CT spine; the image spans 500 mm across; sagittal view; some of the image was removed or blocked out with constant pixels
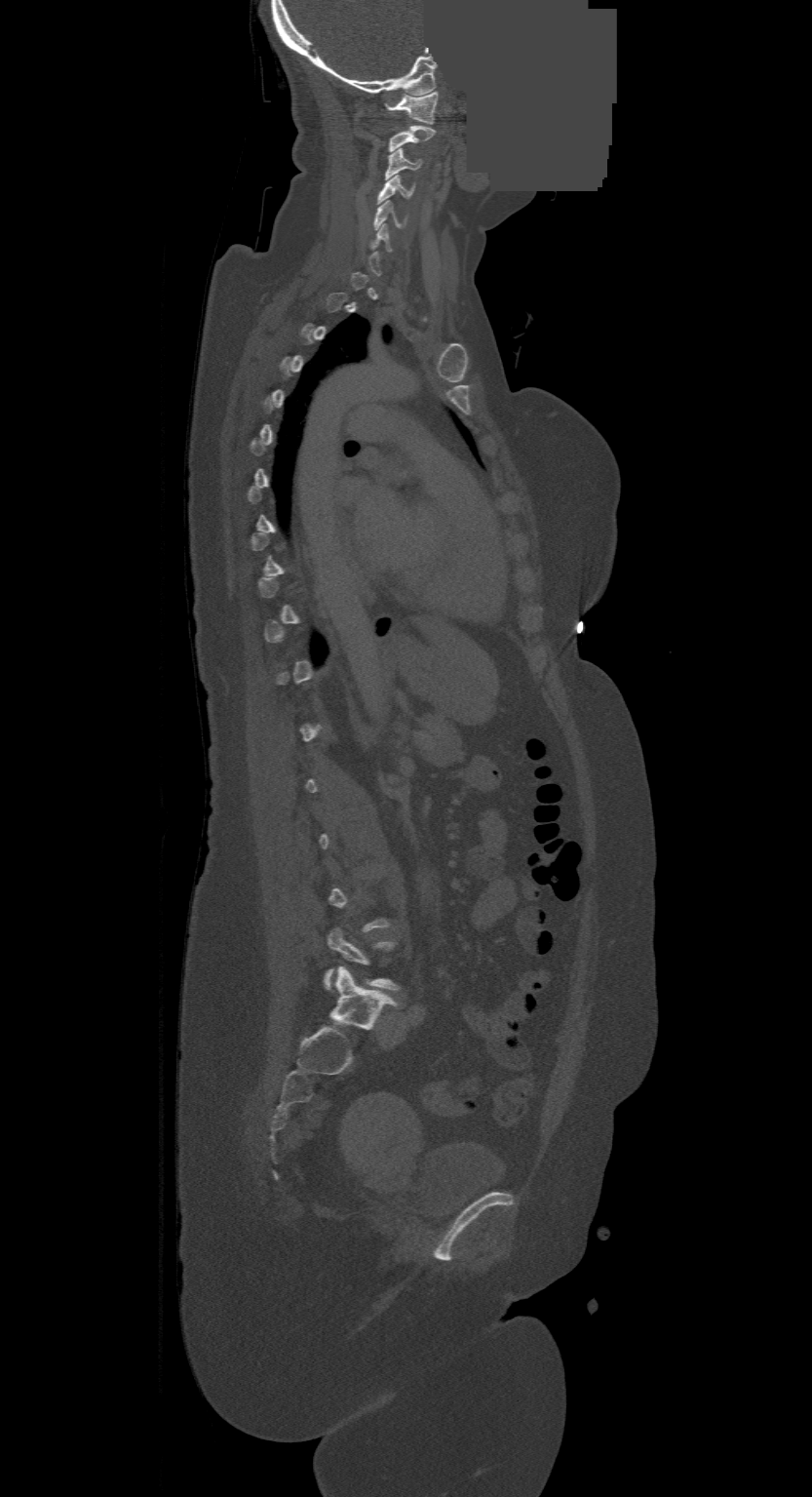
Not every vertebra on this slice has a box: a vertebra is boxed only from the first to the last slice where its cross-section is at least a third of its largest, and this slice is outside that range for at least one of them.
<vertebrae><v name="C1" x1="387" y1="92" x2="437" y2="123"/><v name="C2" x1="389" y1="126" x2="434" y2="152"/><v name="C3" x1="386" y1="148" x2="421" y2="178"/><v name="C4" x1="377" y1="176" x2="413" y2="203"/><v name="C5" x1="374" y1="200" x2="402" y2="228"/></vertebrae>